CT · Sagittal slice 329/512
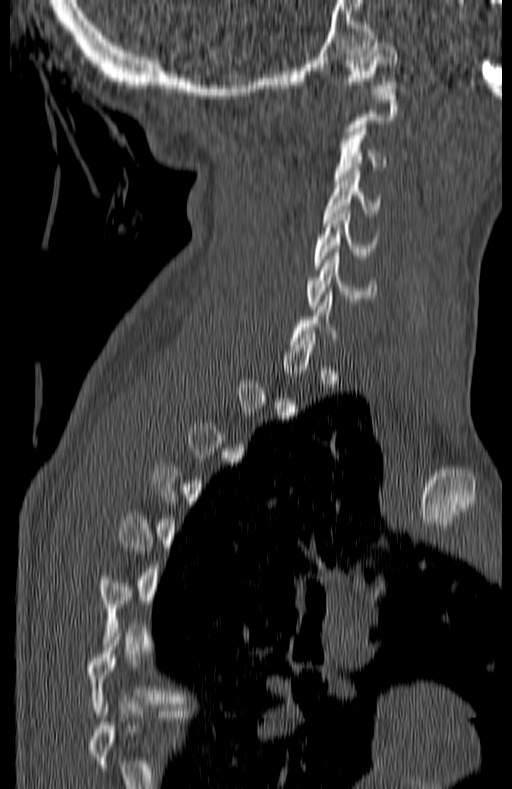

In the table, x1 and y1 are a box's top-left corner and x2 and y2 its bottom-right corner, in pixels.
A vertebra gets a box only on the slices from the first to the last where its cross-section is at least a third of its largest; on a slice outside that range it gets none.
| vertebra | x1 | y1 | x2 | y2 |
|---|---|---|---|---|
| C1 | 345 | 43 | 398 | 91 |
| C3 | 334 | 128 | 387 | 184 |
| C4 | 323 | 171 | 378 | 219 |
| C5 | 314 | 210 | 378 | 269 |
| C6 | 308 | 249 | 375 | 308 |